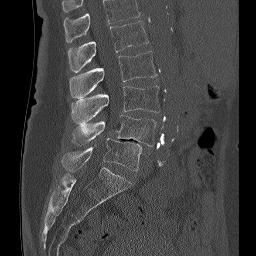
CT, spine. sagittal view
Box values are [left, top, right, bottom] in pixels.
Labels in this scan begin with L1 at the top and end with L5 at the bottom.
{"vertebrae":{"L1":[68,21,148,73],"L2":[69,51,157,98],"L3":[71,85,159,124],"L4":[72,115,155,146],"L5":[61,138,141,171]}}